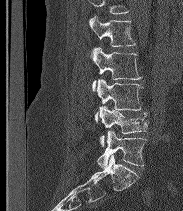
CT spine; sagittal reformat; bone-window reconstruction

Box values are [left, top, right, bottom] in pixels.
A vertebra cut off by the top edge of the scan is not labeled and has no box.
The labels name a sixth lumbar vertebra for this spine: L6, after L5.
{"vertebrae":{"L2":[89,16,136,60],"L3":[92,47,142,91],"L4":[95,79,142,122],"L5":[99,106,147,146],"L6":[97,130,146,167]}}